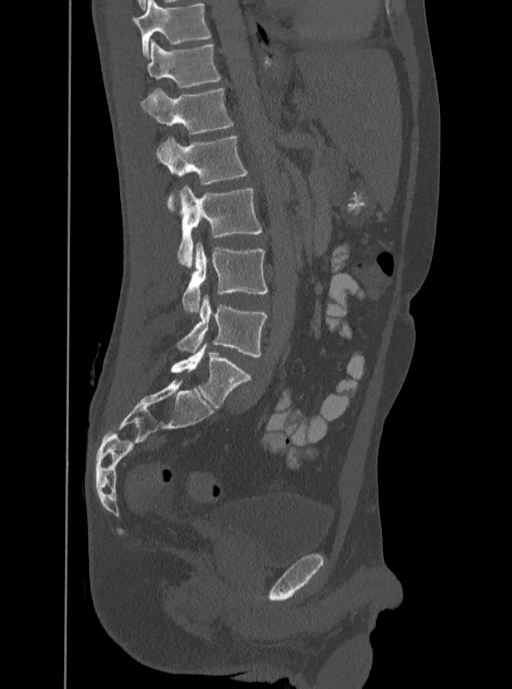

CT spine. sagittal reformat. W/L 1800/400 HU. Coordinates as <box>x1,y1,x2,y2</box>.
The highest labeled vertebra in this scan is T12; the lowest is L5.
L5: <box>176,295,266,357</box>
L4: <box>183,242,268,312</box>
L3: <box>177,186,262,268</box>
L2: <box>155,136,247,211</box>
L1: <box>140,87,233,133</box>
T12: <box>146,39,220,86</box>